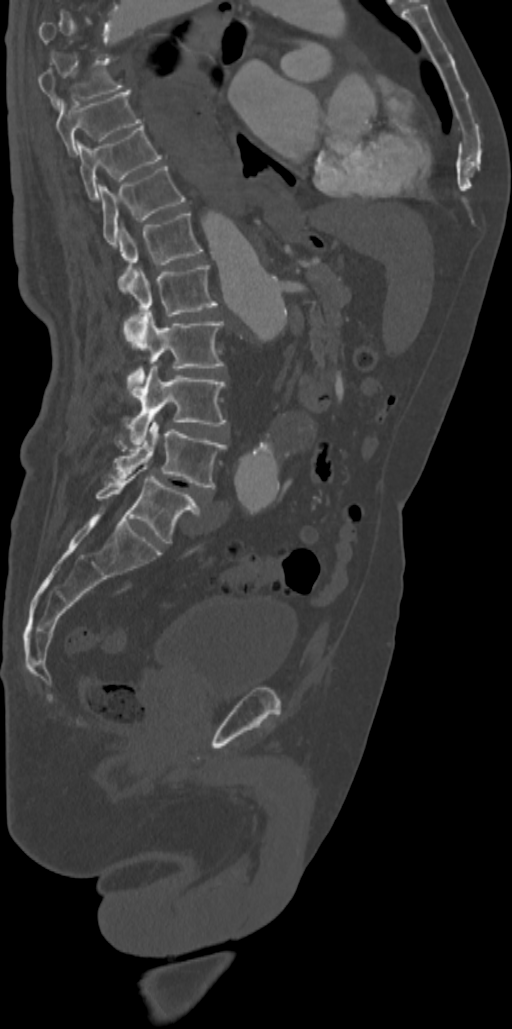 CT, spine. sagittal view

Boxes: x1 y1 x2 y2 (pixel coords, space-separated). Not every vertebra on this slice has a box: a vertebra is boxed only from the first to the last slice where its cross-section is at least a third of its largest, and this slice is outside that range for at least one of them. Vertebrae labeled: T8 at 37 61 122 107, T9 at 55 90 140 154, T10 at 76 126 161 199, T11 at 99 166 184 246, T12 at 117 211 202 284, L1 at 118 265 217 316, L2 at 124 310 223 397, L3 at 127 364 225 444, L4 at 111 420 226 489, L5 at 96 465 199 543.